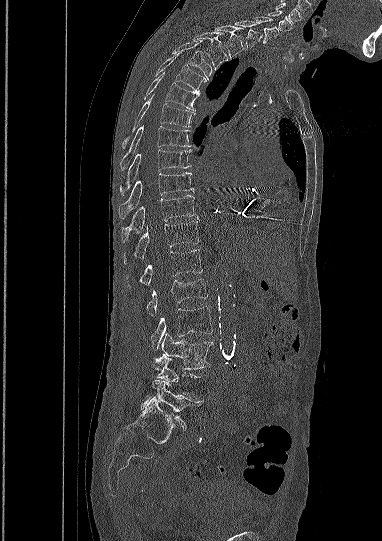 Spine computed tomography · image 382 mm wide · sagittal view
Bounding boxes as [x1, y1, x2, y2] in pixel coordinates.
In this scan, the topmost labeled vertebra is C5 and the lowest is L5.
Vertebra bounding boxes:
- C5: [267, 10, 291, 31]
- C6: [255, 17, 278, 43]
- C7: [235, 20, 262, 48]
- T1: [214, 25, 243, 58]
- T2: [191, 32, 227, 70]
- T3: [171, 42, 211, 79]
- T4: [156, 55, 206, 92]
- T5: [144, 72, 199, 110]
- T6: [122, 93, 193, 148]
- T7: [120, 126, 189, 170]
- T8: [119, 149, 191, 194]
- T9: [119, 172, 193, 219]
- T10: [122, 195, 195, 242]
- T11: [124, 221, 198, 263]
- T12: [126, 250, 202, 288]
- L1: [147, 279, 207, 316]
- L2: [150, 306, 212, 349]
- L3: [161, 333, 212, 369]
- L4: [153, 353, 199, 398]
- L5: [141, 379, 200, 429]